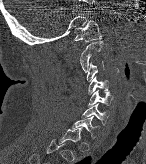
Computed tomography of the spine. sagittal view. bone window. image width 146 mm
Bounding boxes as [x1, y1, x2, y2] in pixel coordinates.
Not every vertebra on this slice has a box: a vertebra is boxed only from the first to the last slice where its cross-section is at least a third of its largest, and this slice is outside that range for at least one of them.
Vertebra bounding boxes:
- C1: [74, 20, 101, 41]
- C2: [79, 40, 103, 72]
- C3: [86, 61, 104, 81]
- C4: [88, 76, 109, 94]
- C5: [87, 90, 112, 109]
- C6: [81, 103, 108, 126]
- C7: [73, 116, 98, 139]